Spine computed tomography — sagittal plane, index 329 — 287 mm wide
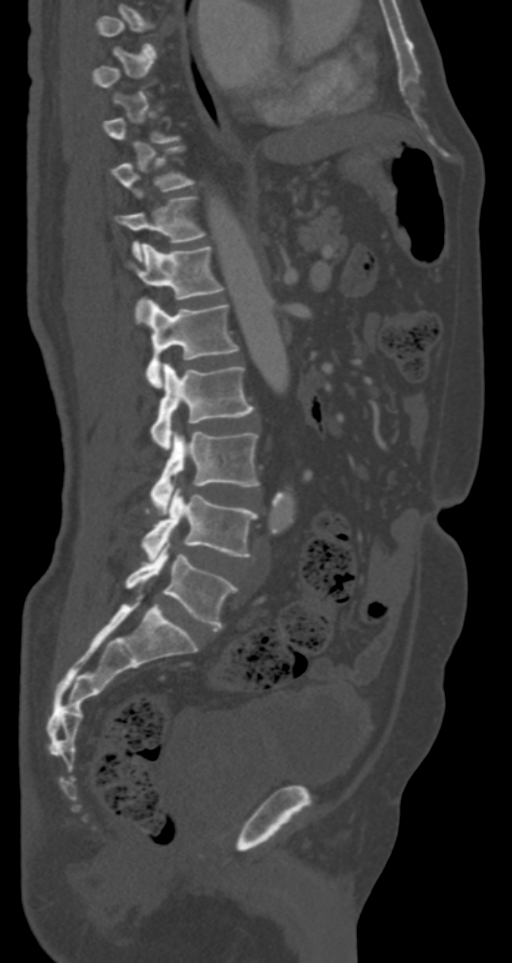 Boxes are (x1, y1, x2, y2) in pixels.
Not every vertebra on this slice has a box: a vertebra is boxed only from the first to the last slice where its cross-section is at least a third of its largest, and this slice is outside that range for at least one of them.
Vertebra bounding boxes:
- T11: (116, 196, 206, 260)
- T12: (128, 244, 225, 312)
- L1: (146, 300, 239, 386)
- L2: (151, 363, 254, 450)
- L3: (149, 431, 259, 509)
- L4: (142, 488, 257, 558)
- L5: (126, 541, 238, 630)